Spine CT · sagittal plane, index 86 · W/L 1800/400 HU · a portion of the image is blanked out (constant pixel value)
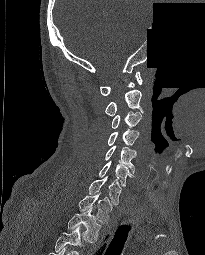 Each row gives a vertebra's box as x1, y1, x2, y2 in pixels: top-left corner, then bottom-right corner.
In this scan, the topmost labeled vertebra is C1 and the lowest is T2.
| vertebra | x1 | y1 | x2 | y2 |
|---|---|---|---|---|
| T2 | 67 | 208 | 101 | 242 |
| T1 | 78 | 192 | 112 | 222 |
| C7 | 88 | 176 | 121 | 204 |
| C6 | 99 | 161 | 134 | 186 |
| C5 | 105 | 146 | 136 | 173 |
| C4 | 108 | 129 | 138 | 145 |
| C3 | 112 | 111 | 141 | 128 |
| C2 | 104 | 89 | 143 | 116 |
| C1 | 100 | 72 | 142 | 95 |